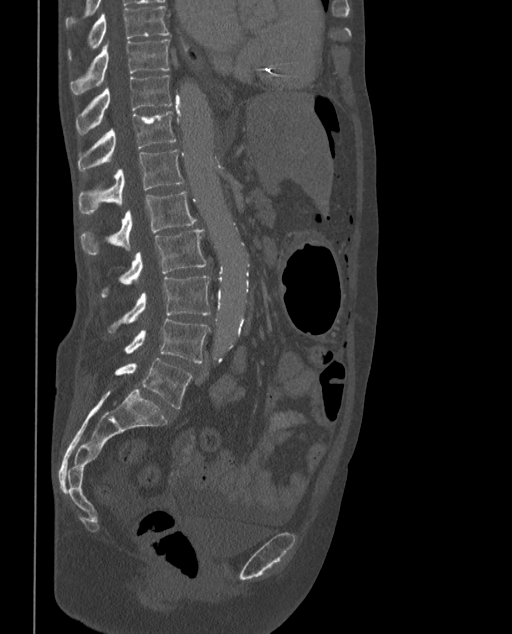 CT, spine. sagittal view. W/L 1800/400 HU. 512x634 px
Columns x1, y1, x2, y2 give each box's top-left and bottom-right pixels.
In these labels the spine has an L6, a sixth lumbar vertebra below L5.
| vertebra | x1 | y1 | x2 | y2 |
|---|---|---|---|---|
| L6 | 115 | 358 | 192 | 408 |
| L5 | 125 | 319 | 210 | 362 |
| L4 | 108 | 275 | 210 | 333 |
| L3 | 101 | 229 | 207 | 297 |
| L2 | 81 | 191 | 196 | 253 |
| L1 | 78 | 149 | 184 | 214 |
| T12 | 78 | 111 | 176 | 172 |
| T11 | 75 | 75 | 172 | 135 |
| T10 | 70 | 40 | 169 | 93 |
| T9 | 67 | 5 | 169 | 61 |